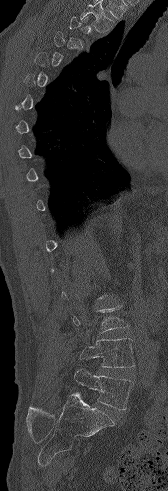

CT spine. sagittal view
Each box given as x1,y1,x2,y2. A vertebra is boxed only from the first to the last slice where its cross-section is at least a third of its largest; slices outside that range leave it without a box. The labeled vertebrae in this slice are: L5 at x1=74, y1=369, x2=133, y2=410, L4 at x1=80, y1=338, x2=135, y2=367.